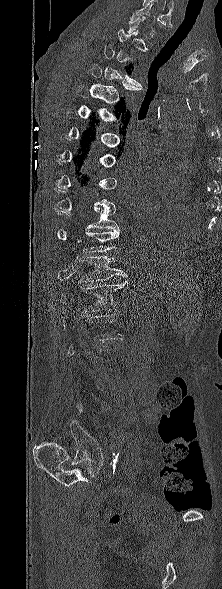 Computed tomography of the spine — sagittal view — 222x589 px

Each box given as x1,y1,x2,y2.
A vertebra gets a box only on the slices from the first to the last where its cross-section is at least a third of its largest; on a slice outside that range it gets none.
Vertebra bounding boxes:
- T3: x1=103, y1=44, x2=142, y2=86
- T4: x1=88, y1=64, x2=142, y2=98
- T10: x1=57, y1=208, x2=118, y2=230
- T11: x1=81, y1=228, x2=119, y2=252
- T12: x1=75, y1=256, x2=126, y2=281
- L1: x1=60, y1=280, x2=127, y2=312